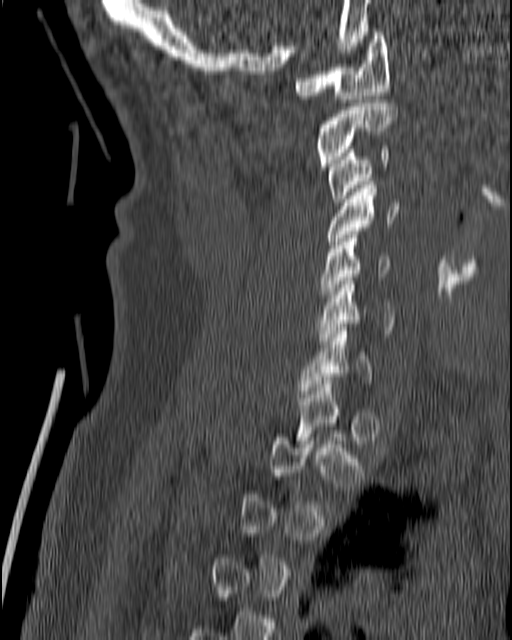
Spine CT. sagittal reformat. the image spans 180 mm across
Boxes are (x1, y1, x2, y2) in pixels.
Not every vertebra on this slice has a box: a vertebra is boxed only from the first to the last slice where its cross-section is at least a third of its largest, and this slice is outside that range for at least one of them.
C1: (294, 32, 390, 102)
C2: (317, 103, 398, 166)
C3: (328, 146, 389, 205)
C4: (325, 178, 398, 248)
C5: (319, 235, 390, 301)
C6: (316, 277, 395, 344)
C7: (300, 327, 370, 394)